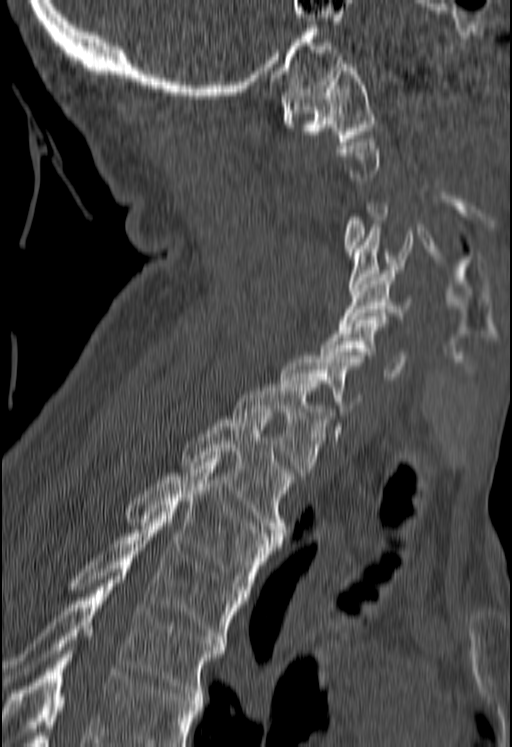

CT, spine — the image spans 180 mm across — sagittal view — bone-window reconstruction

Box edges are left/top/right/bottom in pixels.
A vertebra is boxed only from the first to the last slice where its cross-section is at least a third of its largest; slices outside that range leave it without a box.
A vertebra cut off by the bottom edge of the scan is not labeled and has no box.
C1: left=282, top=60, right=375, bottom=141
C4: left=348, top=228, right=412, bottom=291
C5: left=339, top=270, right=412, bottom=326
C6: left=321, top=316, right=406, bottom=379
T1: left=233, top=380, right=331, bottom=475
T2: left=181, top=416, right=293, bottom=539
T3: left=126, top=459, right=279, bottom=593
T4: left=69, top=516, right=245, bottom=643
T5: left=3, top=572, right=225, bottom=696